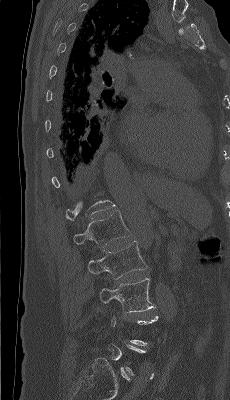 Spine computed tomography · sagittal view · 230 mm wide
Each vertebra maps to its box as [x1, y1, x2, y2], the pixel coordinates of its top-left and bottom-right corners.
A vertebra gets a box only on the slices from the first to the last where its cross-section is at least a third of its largest; on a slice outside that range it gets none.
{"vertebrae":{"L1":[73,210,131,249],"L2":[87,241,147,279],"L3":[99,278,155,312]}}